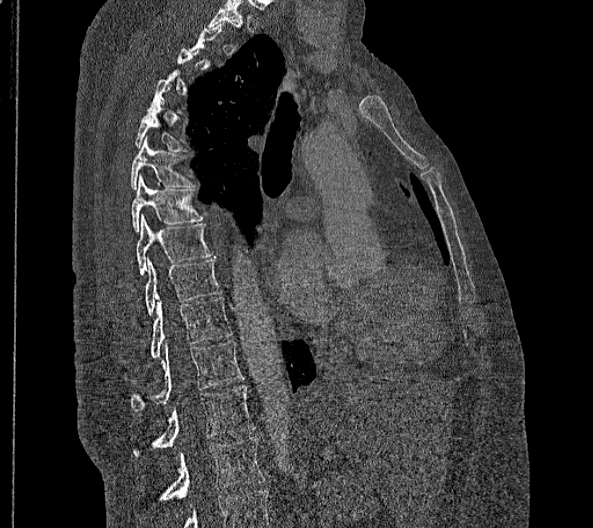

Computed tomography of the spine — sagittal view — bone window — 356 mm wide
Each vertebra is boxed only on the slices from the first to the last where its cross-section reaches a third of its largest, so a slice outside that range leaves it unboxed.
The highest labeled vertebra in this scan is T2; the lowest is L2.
In these labels the spine has no T12: the thoracic vertebrae end at T11, and L1 comes next.
<vertebrae><v name="T5" x1="134" y1="99" x2="187" y2="151"/><v name="T6" x1="130" y1="136" x2="194" y2="189"/><v name="T7" x1="131" y1="174" x2="204" y2="232"/><v name="T8" x1="137" y1="214" x2="212" y2="275"/><v name="T9" x1="145" y1="257" x2="220" y2="314"/><v name="T10" x1="149" y1="297" x2="232" y2="357"/><v name="T11" x1="131" y1="340" x2="244" y2="411"/><v name="L1" x1="132" y1="385" x2="254" y2="457"/><v name="L2" x1="156" y1="437" x2="263" y2="500"/></vertebrae>